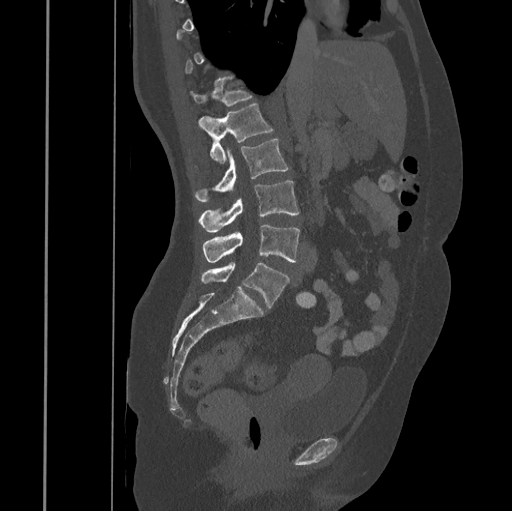 CT spine · sagittal reformat · W/L 1800/400 HU

Each box given as x1,y1,x2,y2.
A vertebra gets a box only on the slices from the first to the last where its cross-section is at least a third of its largest; on a slice outside that range it gets none.
| vertebra | x1 | y1 | x2 | y2 |
|---|---|---|---|---|
| T12 | 190 | 76 | 252 | 106 |
| L1 | 198 | 104 | 273 | 164 |
| L2 | 196 | 139 | 288 | 201 |
| L3 | 199 | 180 | 299 | 232 |
| L4 | 202 | 224 | 299 | 262 |
| L5 | 201 | 262 | 289 | 308 |